Computed tomography of the spine; sagittal reformat; 512x714 px
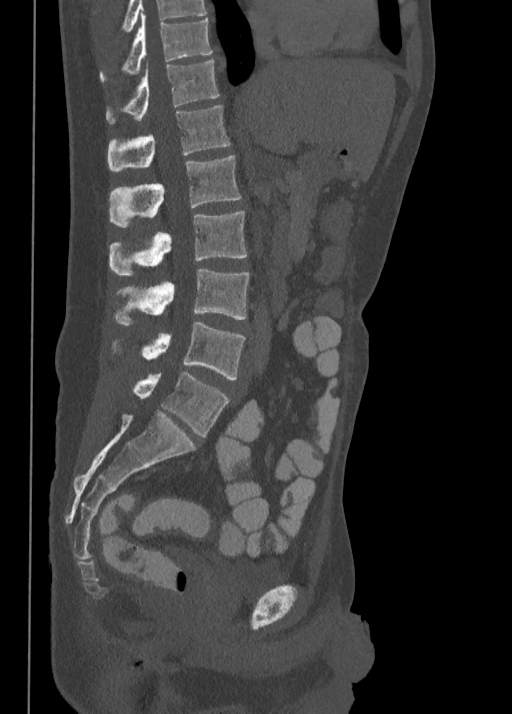

Each box given as x1,y1,x2,y2.
| vertebra | x1 | y1 | x2 | y2 |
|---|---|---|---|---|
| T10 | 99 | 14 | 212 | 81 |
| T11 | 107 | 59 | 220 | 123 |
| T12 | 107 | 105 | 230 | 171 |
| L1 | 109 | 155 | 240 | 227 |
| L2 | 109 | 211 | 246 | 275 |
| L3 | 112 | 269 | 249 | 327 |
| L4 | 111 | 321 | 245 | 379 |
| L5 | 131 | 371 | 228 | 436 |